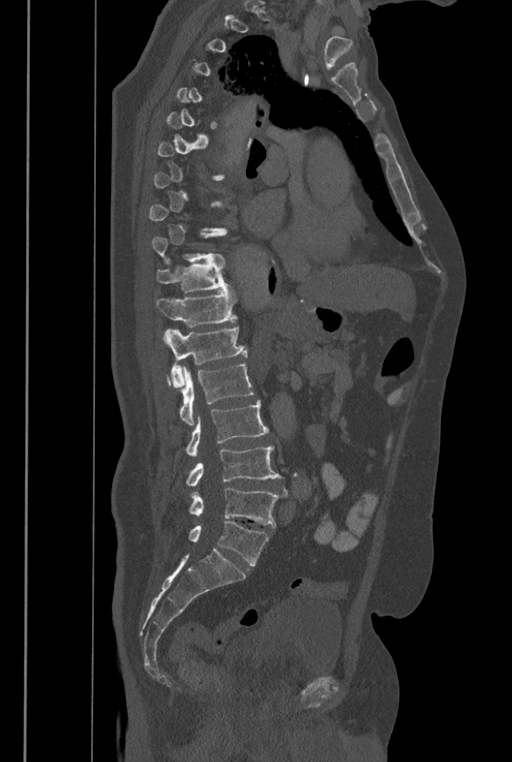
Spine computed tomography; sagittal view; bone window; 512x762 px

Boxes are given in columns x1, y1, x2, y2, the pixel coordinates of their top-left and bottom-right corners.
Not every vertebra on this slice has a box: a vertebra is boxed only from the first to the last slice where its cross-section is at least a third of its largest, and this slice is outside that range for at least one of them.
In these labels the spine has an L6, a sixth lumbar vertebra below L5.
| vertebra | x1 | y1 | x2 | y2 |
|---|---|---|---|---|
| L6 | 188 | 521 | 269 | 565 |
| L5 | 188 | 488 | 285 | 526 |
| L4 | 186 | 445 | 285 | 486 |
| L3 | 186 | 400 | 269 | 455 |
| L2 | 166 | 363 | 254 | 425 |
| L1 | 165 | 328 | 247 | 387 |
| T12 | 156 | 291 | 237 | 327 |
| T11 | 156 | 258 | 232 | 292 |
| T10 | 153 | 232 | 225 | 263 |